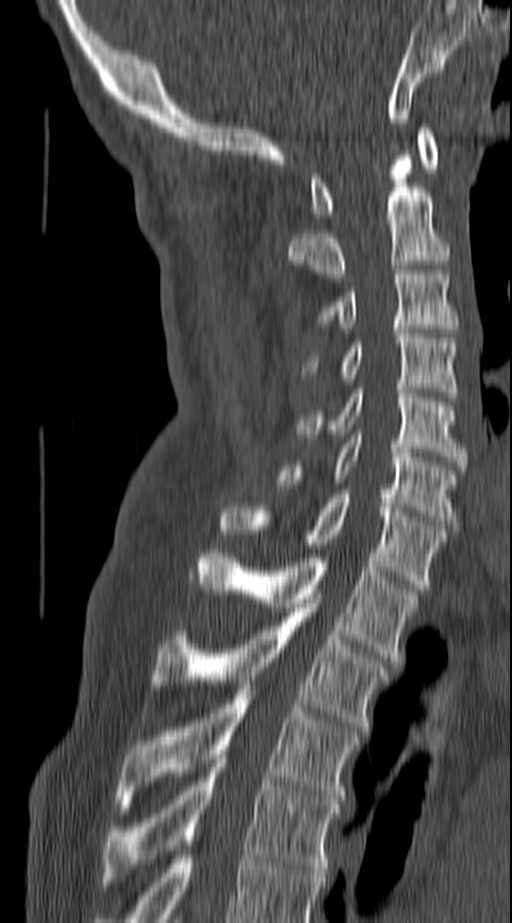 CT — sagittal view — Bone window (WL 400, WW 1800)
Each box is [x1, y1, x2, y2] in pixels: top-left corner, then bottom-right corner.
This scan's labels start at C1 at the top and end at T4 at the bottom.
{"vertebrae":{"C1":[309,128,439,218],"C2":[287,155,450,278],"C3":[320,274,457,328],"C4":[305,329,457,397],"C5":[296,389,465,465],"C6":[276,434,457,529],"C7":[221,494,447,589],"T1":[199,549,417,662],"T2":[151,603,388,730],"T3":[115,686,359,808],"T4":[104,754,340,881]}}